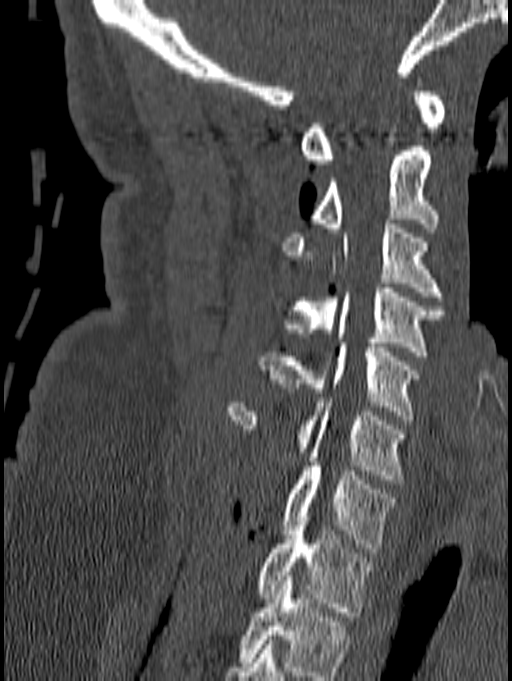 Spine computed tomography · sagittal view · 512x681 px. Box edges are left/top/right/bottom in pixels.
The highest labeled vertebra in this scan is C1; the lowest is T1.
C1: left=300, top=78, right=446, bottom=164
C2: left=310, top=146, right=438, bottom=232
C3: left=282, top=219, right=443, bottom=301
C4: left=283, top=288, right=443, bottom=356
C5: left=260, top=343, right=419, bottom=420
C6: left=225, top=398, right=406, bottom=484
C7: left=283, top=462, right=395, bottom=552
T1: left=257, top=512, right=374, bottom=616